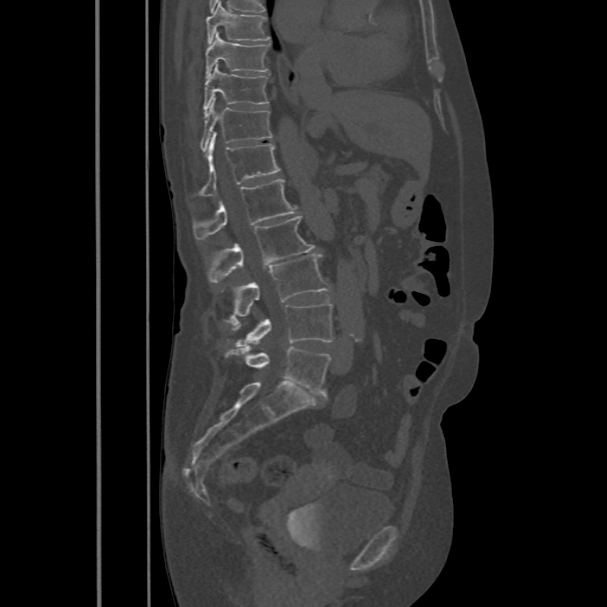

CT spine. sagittal reformat. 607x607 px
Boxes: x1 y1 x2 y2 (pixel coords, space-separated). Vertebrae labeled: L5 at 227 346 330 395, L4 at 236 302 332 346, L3 at 228 253 330 325, L2 at 208 216 315 282, L1 at 193 178 298 240, T12 at 199 131 280 196, T11 at 200 98 272 151, T10 at 204 63 268 115, T9 at 205 32 269 77, T8 at 206 1 271 44.